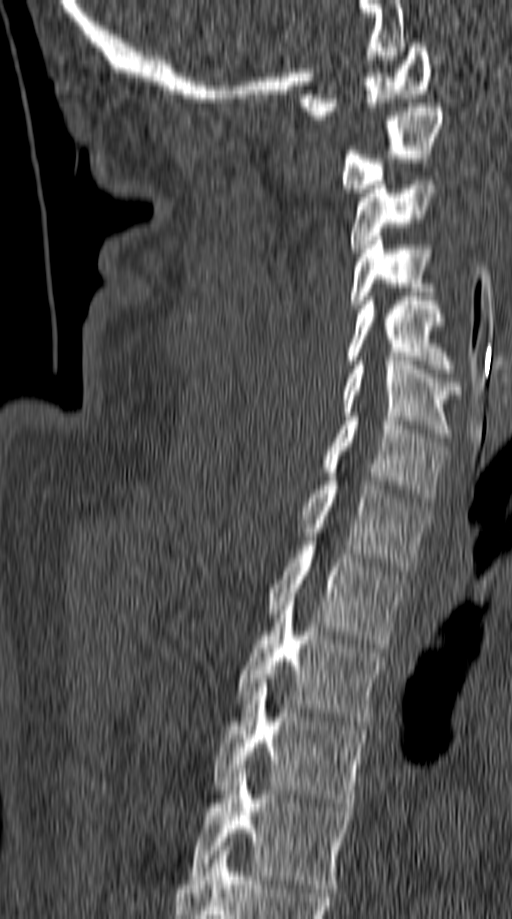 CT, spine · sagittal view · image width 149 mm · bone window · 512x919 px

Coordinates as <box>x1,y1,x2,y2</box>.
Vertebra bounding boxes:
- T5: <box>188,769,351,892</box>
- T4: <box>214,683,368,807</box>
- T3: <box>238,597,385,729</box>
- T2: <box>267,541,406,648</box>
- T1: <box>298,477,426,570</box>
- C7: <box>322,417,447,502</box>
- C6: <box>341,357,461,437</box>
- C5: <box>347,296,454,373</box>
- C4: <box>350,232,433,308</box>
- C3: <box>350,176,439,252</box>
- C2: <box>341,103,443,192</box>
- C1: <box>299,43,432,119</box>